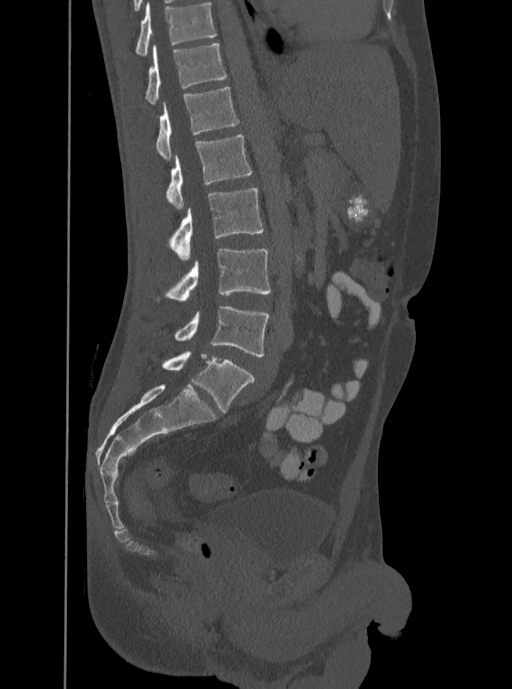

CT, spine. sagittal view. Bone window (WL 400, WW 1800). image 350 mm wide. Boxes are (x1, y1, x2, y2) in pixels.
Labels in this scan begin with T12 at the top and end with L5 at the bottom.
Vertebra bounding boxes:
- T12: (144, 43, 227, 104)
- L1: (155, 86, 239, 160)
- L2: (165, 134, 252, 210)
- L3: (168, 188, 264, 260)
- L4: (155, 249, 271, 302)
- L5: (174, 307, 269, 357)